Computed tomography of the spine. 392 mm across the image. sagittal view
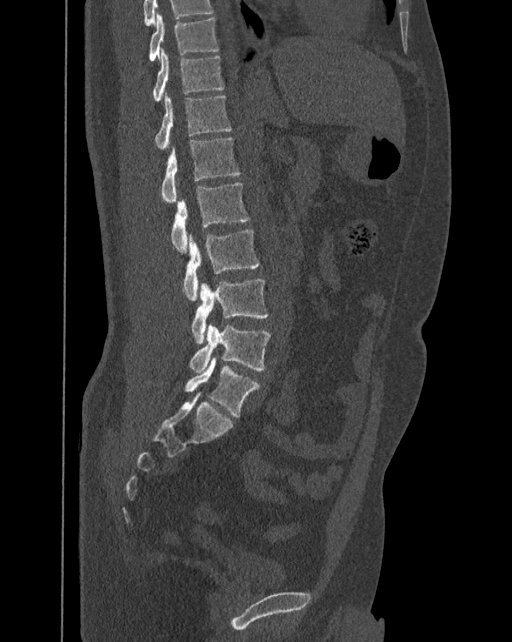
Coordinates as <box>x1,y1,x2,y2</box>.
The labels name a sixth lumbar vertebra for this spine: L6, after L5.
L6: <box>184,357,259,416</box>
L5: <box>189,323,271,374</box>
L4: <box>191,279,268,343</box>
L3: <box>183,229,259,300</box>
L2: <box>171,182,250,252</box>
L1: <box>160,138,239,202</box>
T12: <box>155,93,231,148</box>
T11: <box>153,48,223,101</box>
T10: <box>149,13,218,61</box>